CT spine — sagittal reformat — W/L 1800/400 HU — scan covers 12 annotated vertebrae
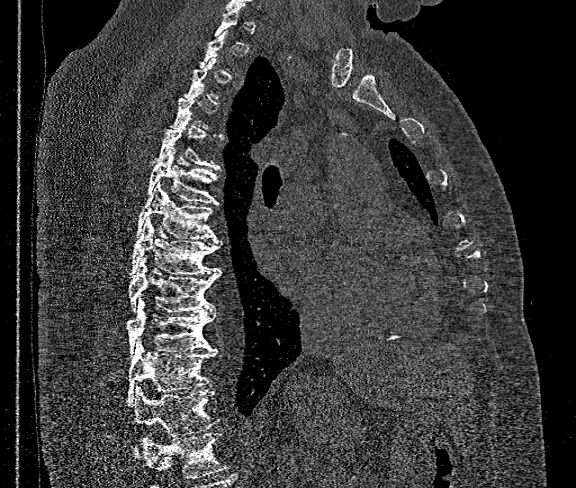
Boxes: x1 y1 x2 y2 (pixel coords, space-separated). Not every vertebra on this slice has a box: a vertebra is boxed only from the first to the last slice where its cross-section is at least a third of its largest, and this slice is outside that range for at least one of them. No box is given to a vertebra that the bottom edge of the scan cuts off. Vertebrae labeled: T5 at 156 115 221 171, T6 at 147 149 219 204, T7 at 136 182 218 239, T8 at 130 217 221 275, T9 at 128 258 221 311, T10 at 126 300 215 355, T11 at 128 340 216 404, T12 at 134 388 219 456.